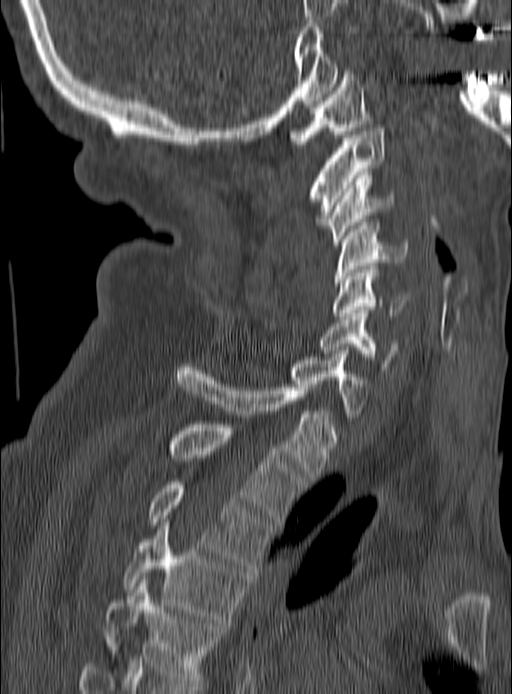
Spine computed tomography; 190 mm wide; sagittal view
Boxes: x1 y1 x2 y2 (pixel coords, space-separated).
Vertebra bounding boxes:
- C1: 288 67 372 147
- C2: 308 128 385 225
- C3: 322 175 395 245
- C4: 335 222 406 289
- C5: 332 269 409 319
- C6: 319 310 398 370
- C7: 289 350 369 417
- T1: 175 364 334 481
- T2: 168 424 304 524
- T3: 149 482 272 568
- T4: 122 522 250 622
- T5: 103 579 226 686